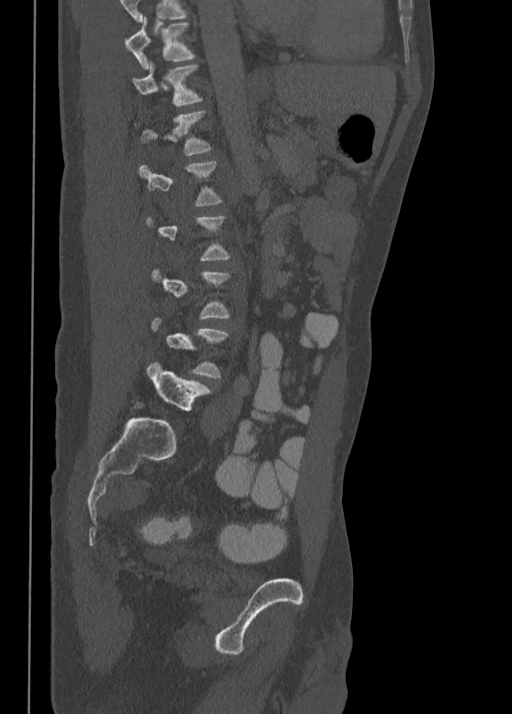
Spine CT. image 350 mm wide. sagittal view. bone window

A vertebra is boxed only from the first to the last slice where its cross-section is at least a third of its largest; slices outside that range leave it without a box.
The highest labeled vertebra in this scan is T10; the lowest is L5.
<vertebrae><v name="T10" x1="126" y1="16" x2="196" y2="69"/><v name="T11" x1="133" y1="63" x2="204" y2="106"/><v name="T12" x1="136" y1="111" x2="212" y2="156"/><v name="L1" x1="139" y1="161" x2="223" y2="207"/><v name="L5" x1="146" y1="361" x2="208" y2="411"/></vertebrae>